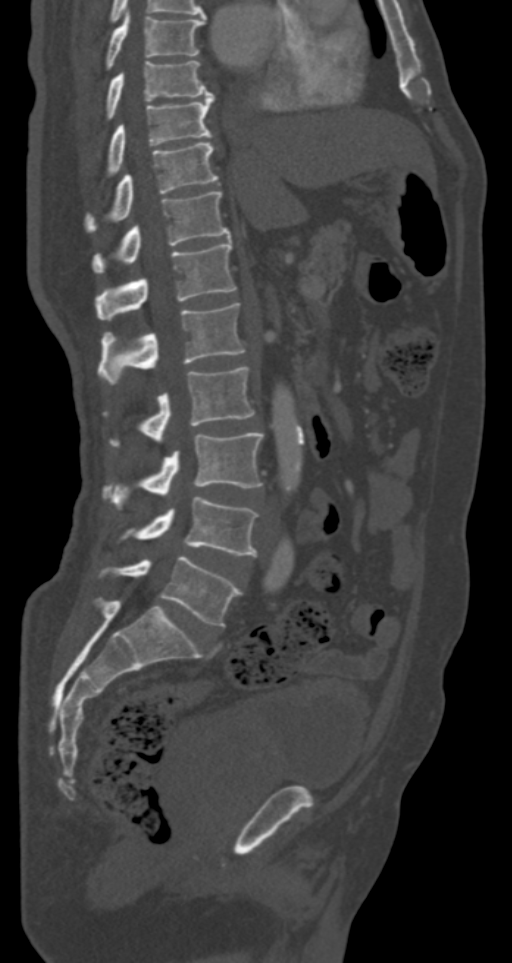

CT · sagittal view

Boxes below are [x1, y1, x2, y2] in pixels.
{"vertebrae":{"T7":[105,12,206,70],"T8":[105,60,211,120],"T9":[105,94,214,178],"T10":[85,142,218,233],"T11":[92,191,231,274],"T12":[96,241,236,320],"L1":[98,303,245,384],"L2":[105,367,254,445],"L3":[103,433,263,507],"L4":[123,496,257,555],"L5":[112,556,241,627]}}